Spine computed tomography. sagittal view. 281 mm wide. W/L 1800/400 HU. a portion of the image is blanked out (constant pixel value)
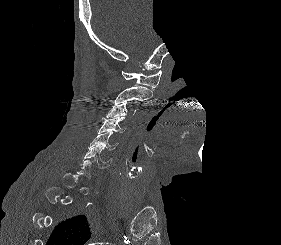

Each box given as x1,y1,x2,y2. A vertebra gets a box only on the slices from the first to the last where its cross-section is at least a third of its largest; on a slice outside that range it gets none. The labeled vertebrae in this slice are: C1 at x1=121, y1=70, x2=161, y2=89, C2 at x1=113, y1=86, x2=152, y2=105, C3 at x1=106, y1=101, x2=137, y2=117, C4 at x1=98, y1=116, x2=126, y2=133, C5 at x1=88, y1=132, x2=119, y2=150, C6 at x1=82, y1=145, x2=112, y2=168.